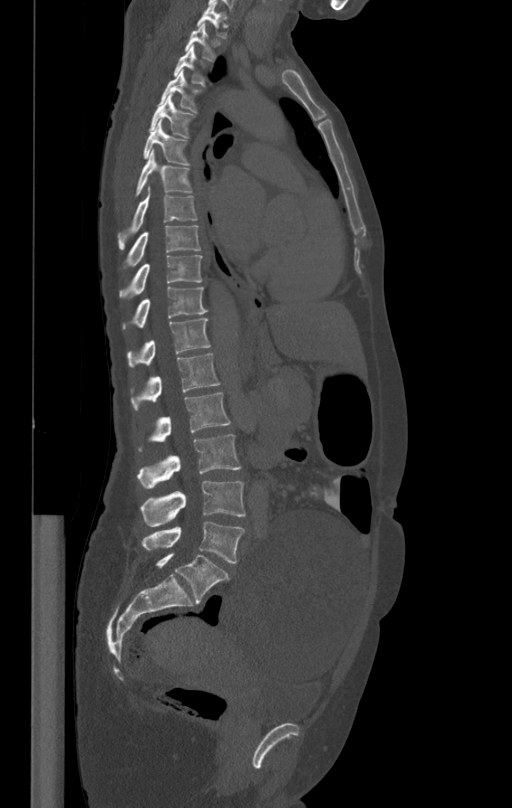
CT, spine; sagittal reformat. Boxes are (x1, y1, x2, y2) in pixels.
Vertebra bounding boxes:
- T1: (197, 2, 226, 37)
- T2: (185, 23, 215, 61)
- T3: (174, 48, 205, 86)
- T4: (160, 70, 201, 112)
- T5: (150, 94, 194, 138)
- T6: (143, 122, 190, 165)
- T7: (135, 150, 191, 196)
- T8: (118, 188, 196, 248)
- T9: (124, 225, 200, 271)
- T10: (119, 255, 201, 300)
- T11: (123, 286, 208, 329)
- T12: (127, 318, 210, 367)
- L1: (130, 352, 220, 411)
- L2: (138, 393, 230, 451)
- L3: (137, 435, 241, 489)
- L4: (140, 481, 245, 526)
- L5: (142, 521, 244, 563)